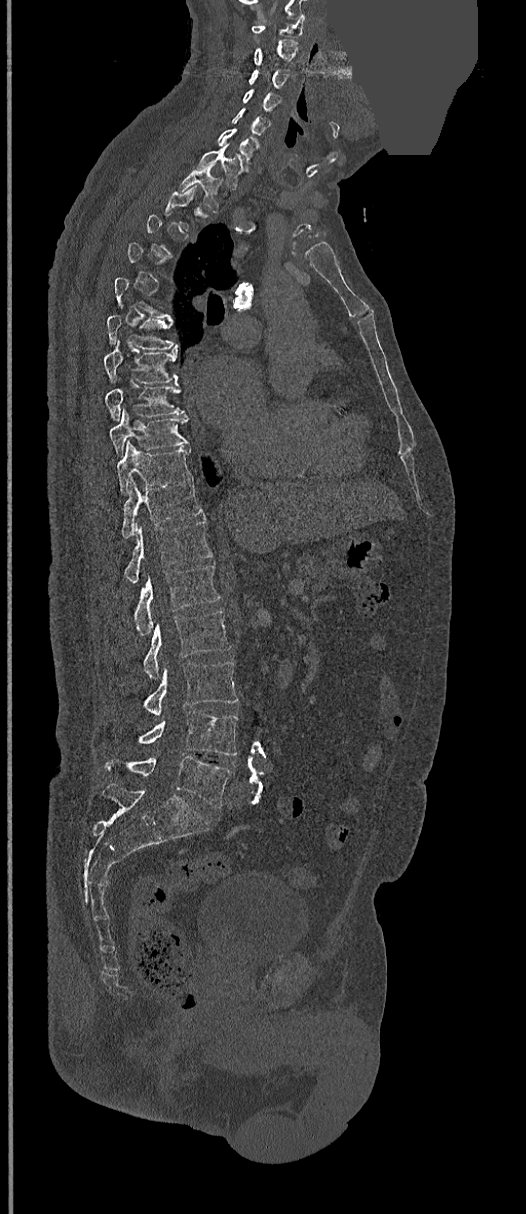
Spine CT — sagittal view — bone window — 526x1214 px — a region is masked with a constant gray value. Boxes: x1:y1:x2:y2 in pixels.
Each vertebra is boxed only on the slices from the first to the last where its cross-section reaches a third of its largest, so a slice outside that range leaves it unboxed.
C1: 252:14:305:36
C2: 253:39:298:68
C3: 248:69:290:90
C4: 242:89:280:112
C5: 231:107:269:136
C6: 218:128:259:166
C7: 197:147:243:189
T1: 180:170:222:212
T6: 107:314:178:349
T7: 104:339:179:383
T8: 106:383:185:419
T9: 110:409:189:455
T10: 117:441:193:493
T11: 121:480:203:538
T12: 124:519:212:582
L1: 132:564:220:635
L2: 143:610:230:678
L3: 143:661:237:715
L4: 106:710:237:755
L5: 106:756:230:808